CT. sagittal plane, index 284. image 421 mm wide. W/L 1800/400 HU
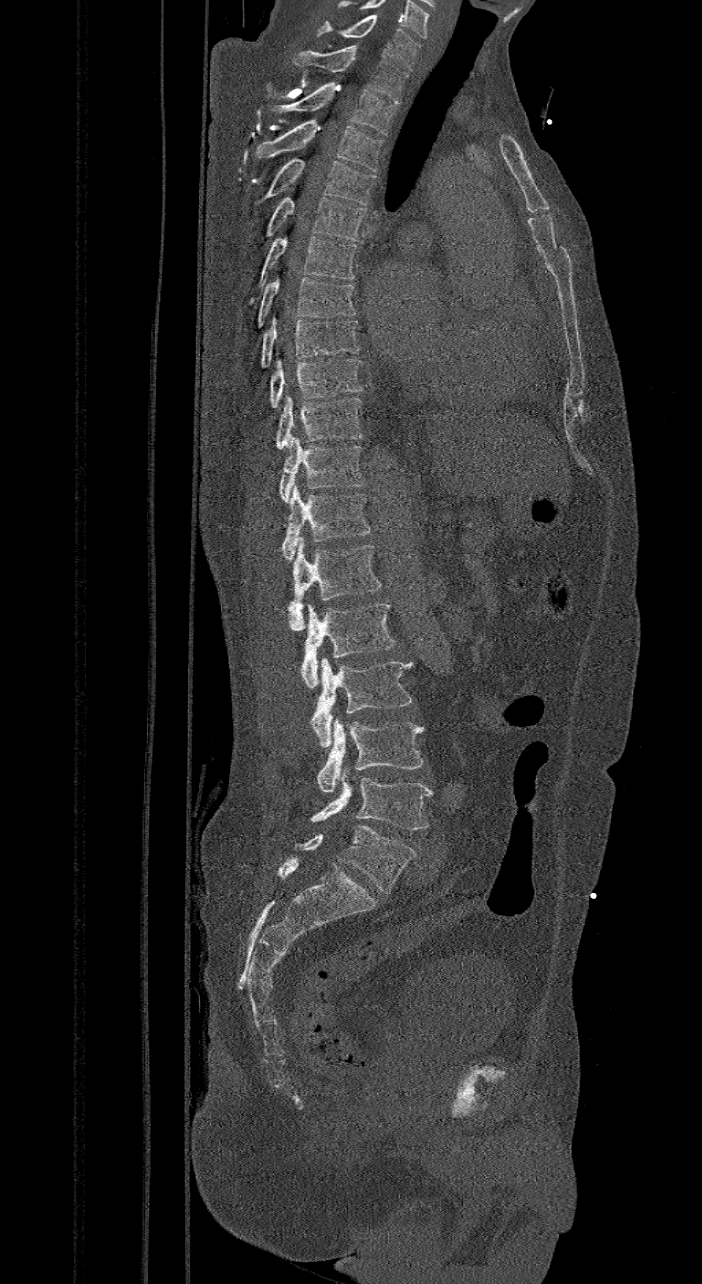

Each box is [x1, y1, x2, y2] in pixels: top-left corner, then bottom-right corner.
These labels give the spine a sixth lumbar vertebra, L6, below L5.
{"vertebrae":{"L6":[277,826,416,893],"L5":[310,768,432,830],"L4":[317,718,424,792],"L3":[311,658,412,747],"L2":[300,602,395,688],"L1":[288,542,383,630],"T12":[281,485,370,560],"T11":[280,435,365,503],"T10":[277,393,362,448],"T9":[270,357,362,407],"T8":[260,317,361,368],"T7":[256,275,357,327],"T6":[245,235,357,303],"T5":[263,197,366,240],"T4":[259,157,376,205],"T3":[255,119,384,171],"T2":[271,82,395,135],"T1":[292,45,407,103],"C7":[317,15,422,69]}}